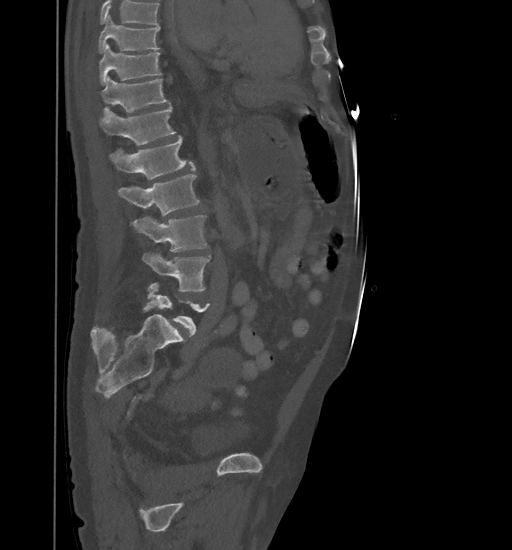 Spine computed tomography — image 461 mm wide — sagittal view
Each row gives a vertebra's box as x1, y1, x2, y2 in pixels: top-left corner, then bottom-right corner.
Where the top of the scan cuts through a vertebra, that vertebra gets no label or box.
| vertebra | x1 | y1 | x2 | y2 |
|---|---|---|---|---|
| T9 | 99 | 15 | 159 | 52 |
| T10 | 100 | 43 | 161 | 85 |
| T11 | 102 | 77 | 169 | 117 |
| T12 | 99 | 106 | 175 | 145 |
| L1 | 108 | 136 | 195 | 179 |
| L2 | 118 | 175 | 200 | 216 |
| L3 | 132 | 215 | 207 | 251 |
| L4 | 142 | 251 | 211 | 291 |
| L5 | 147 | 282 | 209 | 336 |